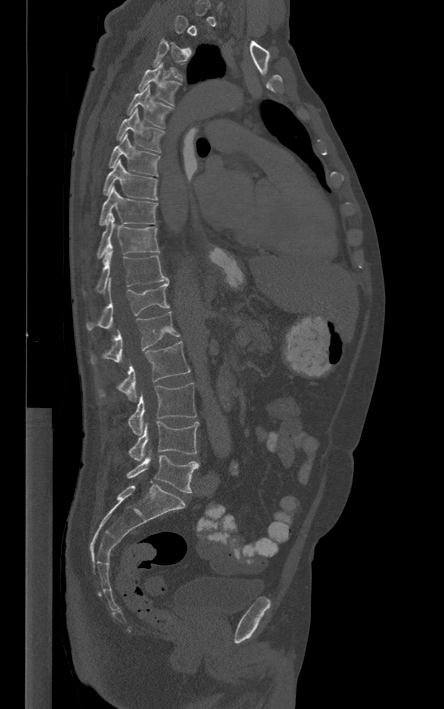

Spine computed tomography. sagittal view
Each box is [x1, y1, x2, y2] in pixels: top-left corner, then bottom-right corner.
Each vertebra is boxed only on the slices from the first to the last where its cross-section reaches a third of its largest, so a slice outside that range leaves it unboxed.
{"vertebrae":{"T4":[138,62,181,105],"T5":[126,85,172,128],"T6":[116,108,164,152],"T7":[109,133,159,175],"T8":[103,159,157,200],"T9":[99,186,157,225],"T10":[97,220,159,258],"T11":[82,250,167,295],"T12":[86,277,169,329],"L1":[90,311,179,364],"L2":[97,341,190,400],"L3":[128,382,196,435],"L4":[128,421,198,461],"L5":[126,455,198,492]}}